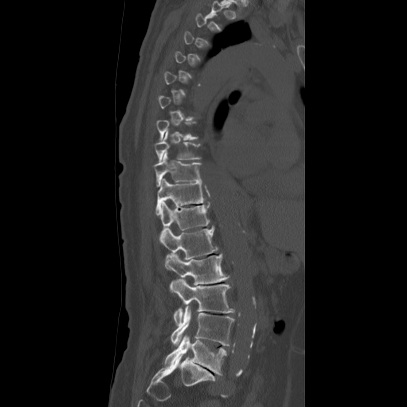
CT spine; the image spans 407 mm across; sagittal view
Boxes are given in columns x1, y1, x2, y2, the pixel coordinates of their top-left and bottom-right corners.
Each vertebra is boxed only on the slices from the first to the last where its cross-section reaches a third of its largest, so a slice outside that range leaves it unboxed.
| vertebra | x1 | y1 | x2 | y2 |
|---|---|---|---|---|
| L5 | 164 | 333 | 225 | 375 |
| L4 | 170 | 306 | 233 | 346 |
| L3 | 169 | 278 | 233 | 324 |
| L2 | 164 | 253 | 229 | 293 |
| L1 | 159 | 227 | 217 | 259 |
| T12 | 161 | 202 | 209 | 230 |
| T11 | 155 | 178 | 204 | 215 |
| T10 | 151 | 151 | 202 | 186 |
| T9 | 152 | 131 | 200 | 162 |